Computed tomography of the spine — Sagittal slice 146/222
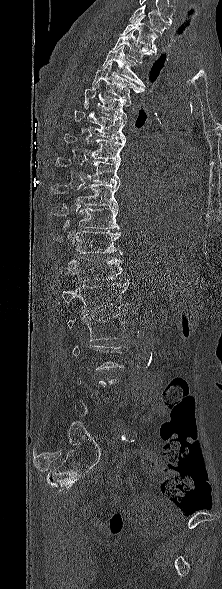 Each vertebra is boxed only on the slices from the first to the last where its cross-section reaches a third of its largest, so a slice outside that range leaves it unboxed.
In this scan, the topmost labeled vertebra is T1 and the lowest is L5.
<vertebrae><v name="L2" x1="67" y1="312" x2="126" y2="340"/><v name="L1" x1="62" y1="280" x2="129" y2="312"/><v name="T12" x1="67" y1="257" x2="122" y2="281"/><v name="T11" x1="54" y1="225" x2="122" y2="255"/><v name="T10" x1="51" y1="206" x2="119" y2="229"/><v name="T9" x1="51" y1="183" x2="119" y2="208"/><v name="T8" x1="56" y1="157" x2="120" y2="184"/><v name="T7" x1="63" y1="133" x2="125" y2="160"/><v name="T6" x1="74" y1="105" x2="125" y2="141"/><v name="T5" x1="84" y1="85" x2="131" y2="119"/><v name="T4" x1="92" y1="64" x2="143" y2="99"/><v name="T3" x1="102" y1="45" x2="145" y2="86"/><v name="T2" x1="112" y1="29" x2="153" y2="63"/><v name="T1" x1="121" y1="16" x2="157" y2="54"/></vertebrae>